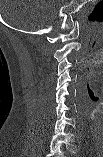

Spine computed tomography · sagittal view · 103 mm wide
Labels in this scan begin with C1 at the top and end with C7 at the bottom.
<vertebrae><v name="C1" x1="47" y1="21" x2="78" y2="42"/><v name="C2" x1="54" y1="41" x2="80" y2="61"/><v name="C3" x1="56" y1="57" x2="76" y2="75"/><v name="C4" x1="56" y1="69" x2="76" y2="90"/><v name="C5" x1="56" y1="83" x2="75" y2="102"/><v name="C6" x1="56" y1="96" x2="76" y2="117"/><v name="C7" x1="54" y1="111" x2="75" y2="132"/></vertebrae>